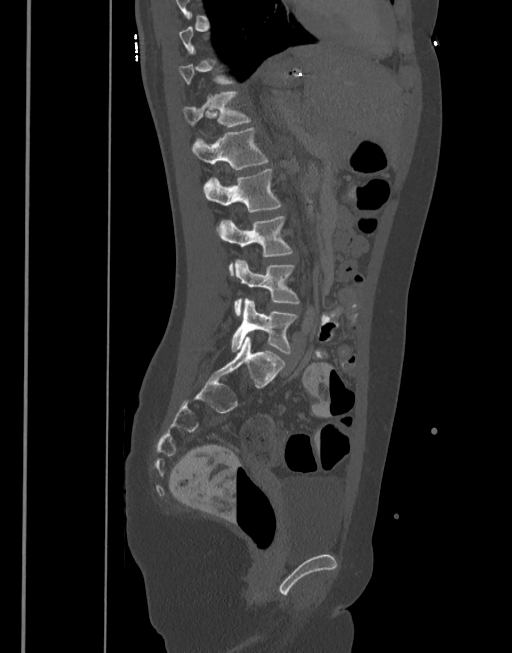
CT spine · sagittal view · bone-window reconstruction · 512x653 px. Box edges are left/top/right/bottom in pixels. A vertebra is boxed only from the first to the last slice where its cross-section is at least a third of its largest; slices outside that range leave it without a box. Vertebrae labeled: L5 at left=231, top=298, right=298, bottom=353, L4 at left=233, top=259, right=299, bottom=316, L3 at left=218, top=215, right=292, bottom=275, L2 at left=204, top=167, right=281, bottom=212, L1 at left=191, top=127, right=268, bottom=170, T12 at left=183, top=90, right=250, bottom=126.